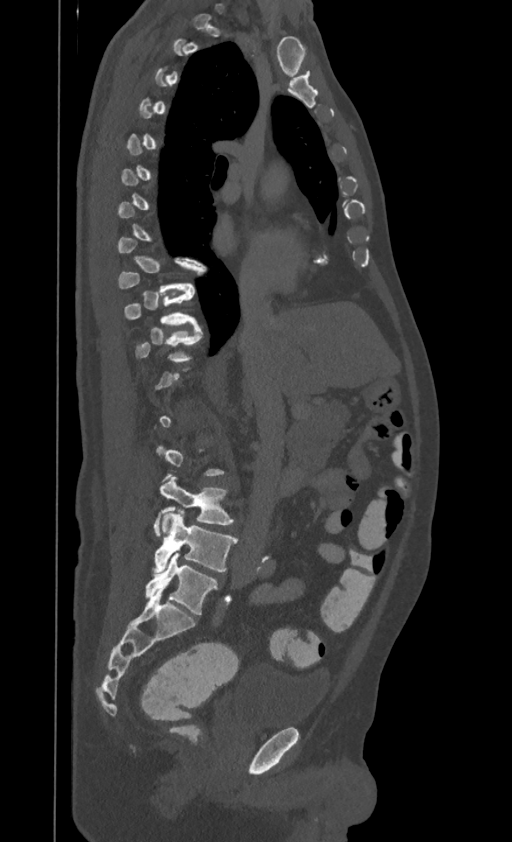
CT spine · the image spans 395 mm across · sagittal view · W/L 1800/400 HU · 512x842 px
Boxes below are [x1, y1, x2, y2] in pixels.
Each vertebra is boxed only on the slices from the first to the last where its cross-section reaches a third of its largest, so a slice outside that range leaves it unboxed.
In this scan, the topmost labeled vertebra is T1 and the lowest is L4.
{"vertebrae":{"T10":[124,290,197,326],"T11":[136,328,202,362],"L3":[154,475,233,536],"L4":[153,511,237,573]}}